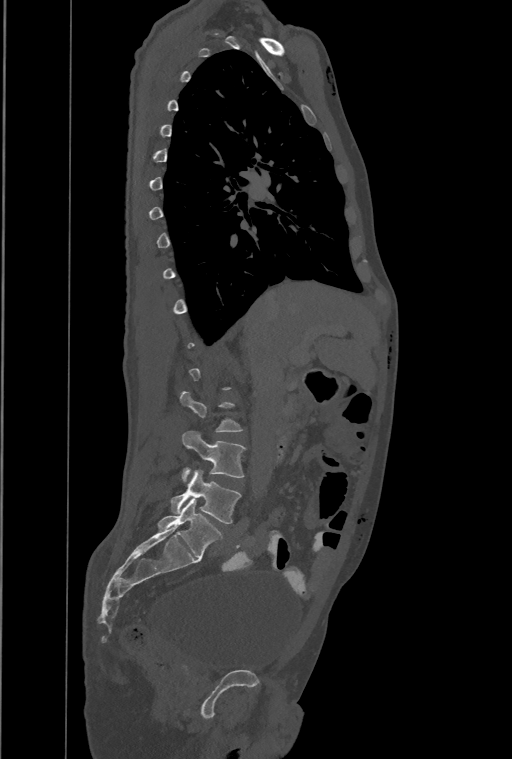

CT. sagittal reformat. 512x759 px. Each row gives a vertebra's box as x1, y1, x2, y2 in pixels: top-left corner, then bottom-right corner.
A vertebra is boxed only from the first to the last slice where its cross-section is at least a third of its largest; slices outside that range leave it without a box.
Labels in this scan begin with T1 at the top and end with L4 at the bottom.
| vertebra | x1 | y1 | x2 | y2 |
|---|---|---|---|---|
| L3 | 182 | 431 | 245 | 481 |
| L4 | 171 | 470 | 241 | 524 |